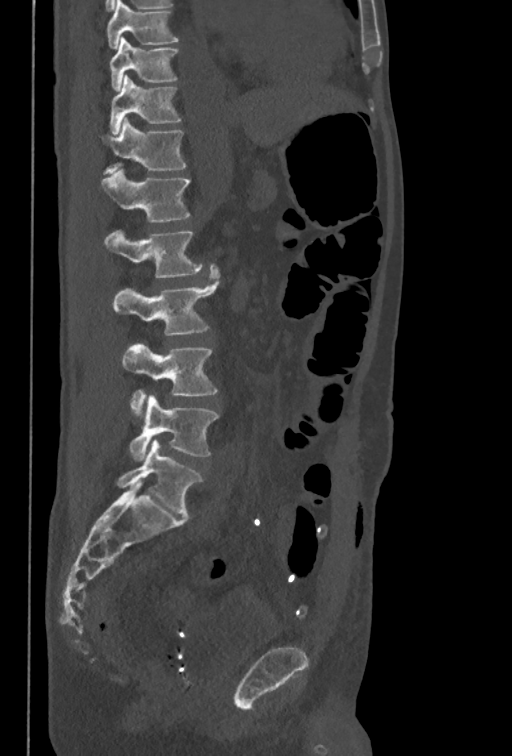

CT spine — sagittal view — W/L 1800/400 HU — 512x756 px
Boxes below are [x1, y1, x2, y2] in pixels.
In this scan, the topmost labeled vertebra is T10 and the lowest is L5.
{"vertebrae":{"T10":[109,37,179,91],"T11":[109,75,182,135],"T12":[99,117,186,174],"L1":[101,170,190,222],"L2":[105,230,202,277],"L3":[112,263,220,335],"L4":[123,344,218,416],"L5":[128,395,218,460]}}